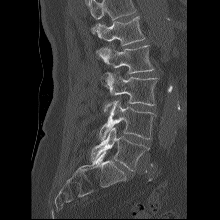
CT spine. sagittal view. 220x220 px
Each box given as x1,y1,x2,y2. A vertebra cut off by the top edge of the scan is not labeled and has no box. 5 vertebrae labeled — L1 at x1=93, y1=16, x2=145, y2=45; L2 at x1=96, y1=45, x2=154, y2=73; L3 at x1=101, y1=72, x2=157, y2=112; L4 at x1=99, y1=99, x2=155, y2=139; L5 at x1=90, y1=127, x2=149, y2=171.